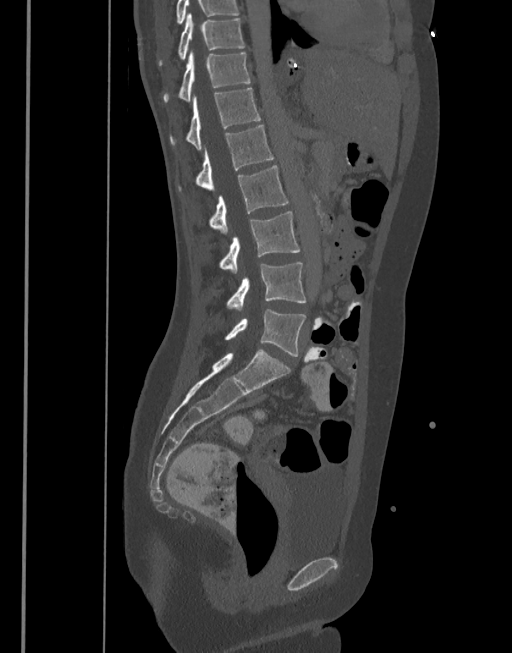
CT spine. sagittal view. the image is 377 mm wide. Bone window (WL 400, WW 1800). 512x653 px
In the table, x1 and y1 are a box's top-left corner and x2 and y2 its bottom-right corner, in pixels.
| vertebra | x1 | y1 | x2 | y2 |
|---|---|---|---|---|
| T10 | 159 | 13 | 245 | 65 |
| T11 | 163 | 50 | 250 | 102 |
| T12 | 170 | 88 | 261 | 149 |
| L1 | 179 | 125 | 273 | 191 |
| L2 | 210 | 165 | 288 | 234 |
| L3 | 220 | 211 | 300 | 273 |
| L4 | 227 | 262 | 306 | 311 |
| L5 | 225 | 309 | 306 | 356 |